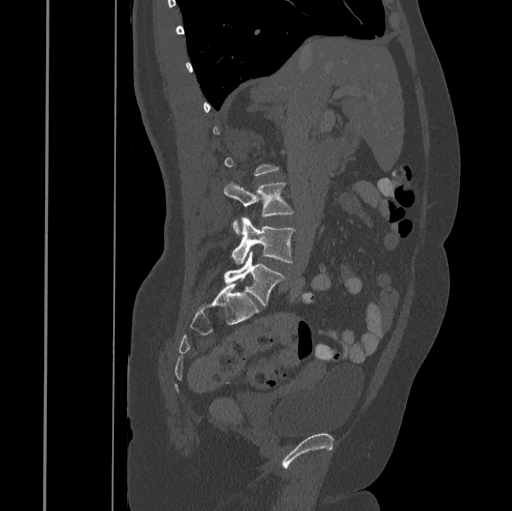 CT, spine · sagittal reformat · Bone window (WL 400, WW 1800) · 512x511 px
Boxes: x1 y1 x2 y2 (pixel coords, space-separated).
A vertebra is boxed only from the first to the last slice where its cross-section is at least a third of its largest; slices outside that range leave it without a box.
Vertebra bounding boxes:
- L3: 224 181 295 233
- L4: 231 217 296 264
- L5: 224 252 286 304